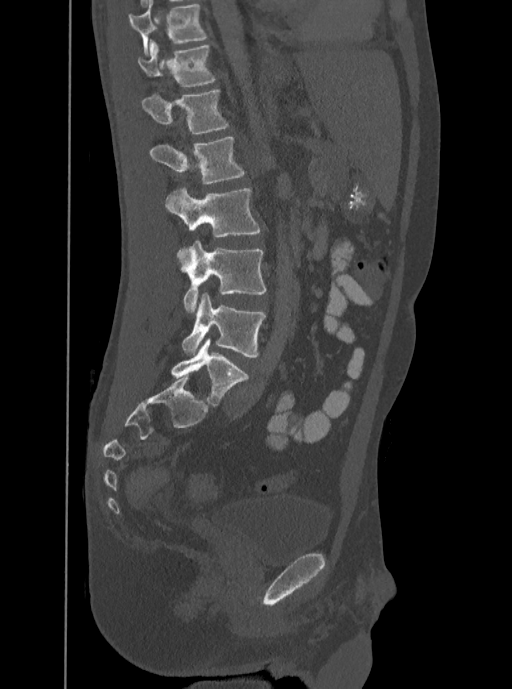

CT, spine; sagittal view; image width 350 mm

The highest labeled vertebra in this scan is T12; the lowest is L5.
<vertebrae><v name="T12" x1="137" y1="39" x2="215" y2="86"/><v name="L1" x1="142" y1="88" x2="228" y2="133"/><v name="L2" x1="149" y1="137" x2="245" y2="183"/><v name="L3" x1="165" y1="187" x2="261" y2="237"/><v name="L4" x1="177" y1="241" x2="266" y2="312"/><v name="L5" x1="181" y1="294" x2="265" y2="357"/></vertebrae>